Spine computed tomography · Sagittal slice 327/512 · 512x747 px · 12 vertebrae labeled in this scan
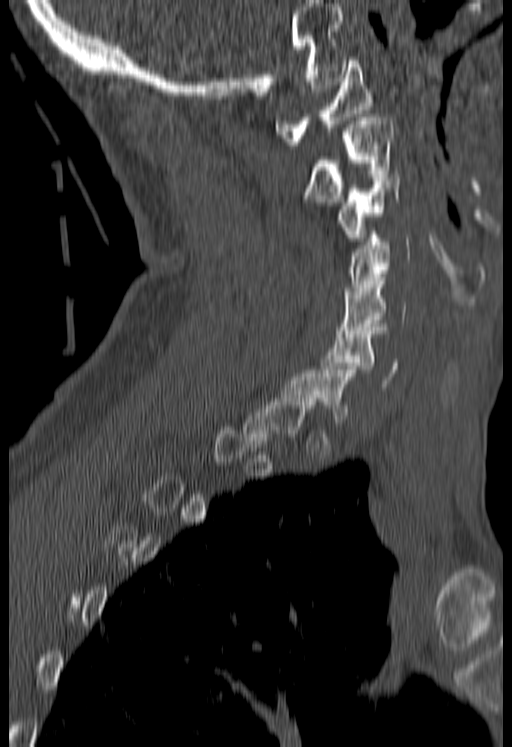 Each vertebra is boxed only on the slices from the first to the last where its cross-section reaches a third of its largest, so a slice outside that range leaves it unboxed.
<vertebrae><v name="C1" x1="275" y1="57" x2="373" y2="145"/><v name="C2" x1="305" y1="114" x2="392" y2="205"/><v name="C3" x1="337" y1="174" x2="398" y2="241"/><v name="C4" x1="344" y1="231" x2="410" y2="294"/><v name="C5" x1="337" y1="277" x2="405" y2="333"/><v name="C6" x1="321" y1="327" x2="398" y2="387"/></vertebrae>